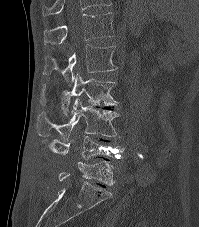 Spine CT. sagittal view
Coordinates as <box>x1,y1,x2,y2</box>.
The highest labeled vertebra in this scan is T12; the lowest is L5.
Vertebra bounding boxes:
- T12: <box>44,12,115,45</box>
- L1: <box>43,44,118,87</box>
- L2: <box>40,73,118,117</box>
- L3: <box>37,98,119,141</box>
- L4: <box>42,136,124,160</box>
- L5: <box>59,160,114,185</box>